Spine computed tomography; Sagittal slice 227/512; 340 mm wide; W/L 1800/400 HU
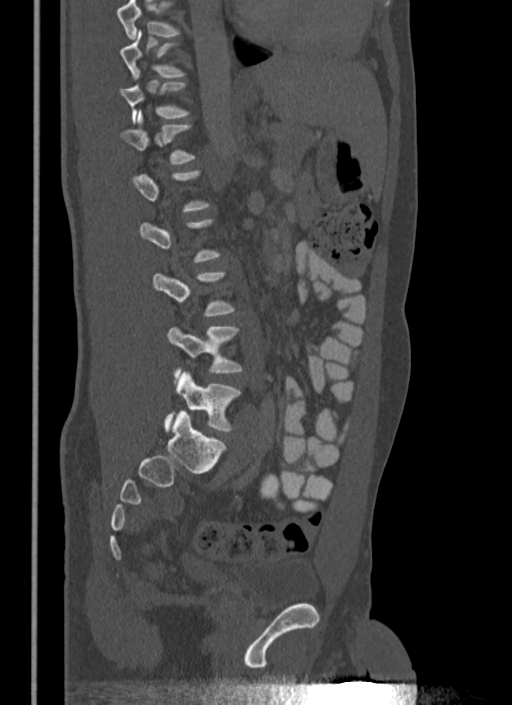
Each vertebra is boxed only on the slices from the first to the last where its cross-section reaches a third of its largest, so a slice outside that range leaves it unboxed.
No box is given to a vertebra that the top edge of the scan cuts off.
<vertebrae><v name="T10" x1="120" y1="30" x2="185" y2="79"/><v name="T11" x1="120" y1="81" x2="190" y2="124"/><v name="T12" x1="122" y1="111" x2="196" y2="163"/><v name="L3" x1="153" y1="271" x2="235" y2="315"/><v name="L4" x1="168" y1="327" x2="243" y2="377"/><v name="L5" x1="164" y1="372" x2="241" y2="431"/></vertebrae>